CT; Sagittal slice 90/186; bone window
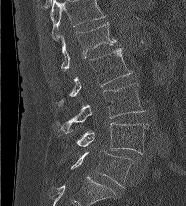

Each row gives a vertebra's box as x1, y1, x2, y2 in pixels: top-left corner, then bottom-right corner.
This scan's labels start at L1 at the top and end at L5 at the bottom.
| vertebra | x1 | y1 | x2 | y2 |
|---|---|---|---|---|
| L1 | 61 | 22 | 116 | 70 |
| L2 | 58 | 48 | 132 | 106 |
| L3 | 56 | 83 | 144 | 133 |
| L4 | 75 | 123 | 149 | 154 |
| L5 | 71 | 150 | 133 | 187 |